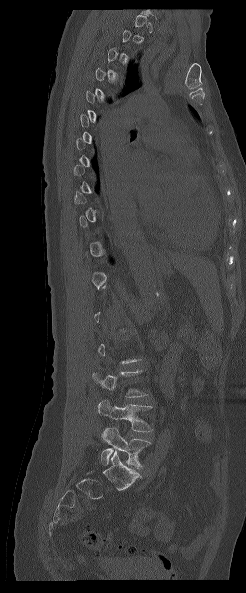

CT, spine · sagittal view · 246x593 px

Each box is [x1, y1, x2, y2] in pixels: top-left corner, then bottom-right corner.
A vertebra gets a box only on the slices from the first to the last where its cross-section is at least a third of its largest; on a slice outside that range it gets none.
{"vertebrae":{"L4":[98,400,152,431],"L5":[100,427,150,468]}}